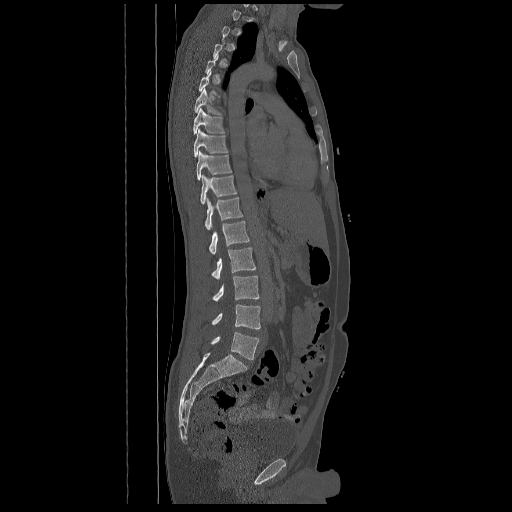
CT, spine. sagittal view. 512x512 px

In the table, x1 and y1 are a box's top-left corner and x2 and y2 its bottom-right corner, in pixels.
Not every vertebra on this slice has a box: a vertebra is boxed only from the first to the last slice where its cross-section is at least a third of its largest, and this slice is outside that range for at least one of them.
| vertebra | x1 | y1 | x2 | y2 |
|---|---|---|---|---|
| T7 | 194 | 88 | 222 | 115 |
| T8 | 193 | 108 | 224 | 134 |
| T9 | 193 | 129 | 227 | 157 |
| T10 | 196 | 151 | 231 | 180 |
| T11 | 200 | 174 | 237 | 204 |
| T12 | 205 | 197 | 243 | 229 |
| L1 | 209 | 221 | 249 | 254 |
| L2 | 212 | 248 | 256 | 279 |
| L3 | 212 | 276 | 259 | 301 |
| L4 | 212 | 304 | 260 | 329 |
| L5 | 210 | 332 | 259 | 359 |